Computed tomography of the spine; sagittal view; Bone window (WL 400, WW 1800)
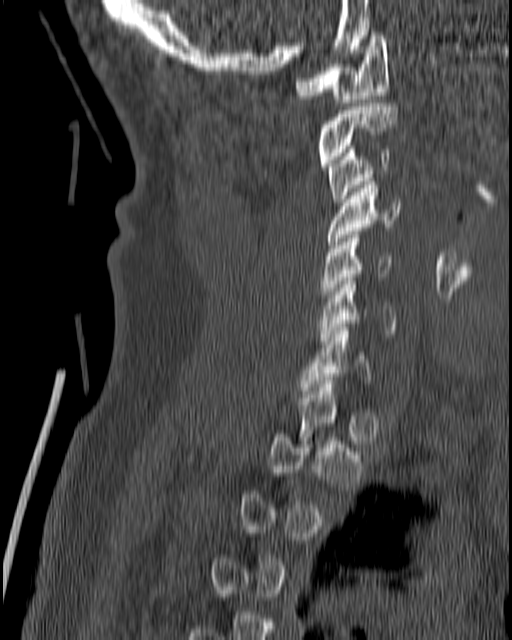
Bounding boxes as [x1, y1, x2, y2] in pixel coordinates. Each vertebra is boxed only on the slices from the first to the last where its cross-section reaches a third of its largest, so a slice outside that range leaves it unboxed. 7 vertebrae labeled — C1 at [294, 32, 390, 106]; C2 at [317, 103, 398, 166]; C3 at [327, 146, 390, 205]; C4 at [325, 178, 400, 248]; C5 at [319, 235, 390, 301]; C6 at [317, 277, 396, 344]; C7 at [300, 327, 370, 394].